Computed tomography of the spine — sagittal reformat — 230x400 px — 230 mm across the image
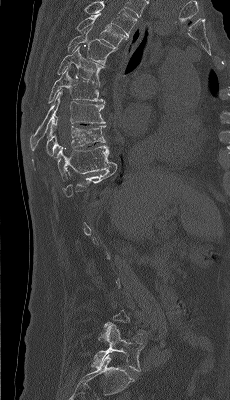 Coordinates as <box>x1,y1,x2,y2</box>.
Each vertebra is boxed only on the slices from the first to the last where its cross-section reaches a third of its largest, so a slice outside that range leaves it unboxed.
In this scan, the topmost labeled vertebra is T4 and the lowest is L5.
Vertebra bounding boxes:
- T4: <box>76,13,128,47</box>
- T5: <box>67,27,117,65</box>
- T6: <box>57,46,103,85</box>
- T7: <box>48,69,105,103</box>
- T8: <box>30,91,105,150</box>
- T9: <box>32,116,105,170</box>
- T10: <box>53,145,117,181</box>
- L5: <box>91,324,143,371</box>